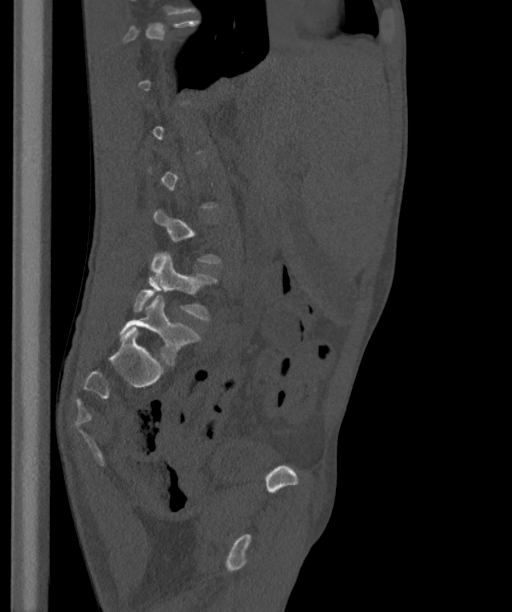

CT, spine; 363 mm image width; sagittal view
A vertebra is boxed only from the first to the last slice where its cross-section is at least a third of its largest; slices outside that range leave it without a box.
The labels name a sixth lumbar vertebra for this spine: L6, after L5.
<vertebrae><v name="L5" x1="132" y1="253" x2="216" y2="320"/><v name="L6" x1="119" y1="295" x2="199" y2="365"/></vertebrae>